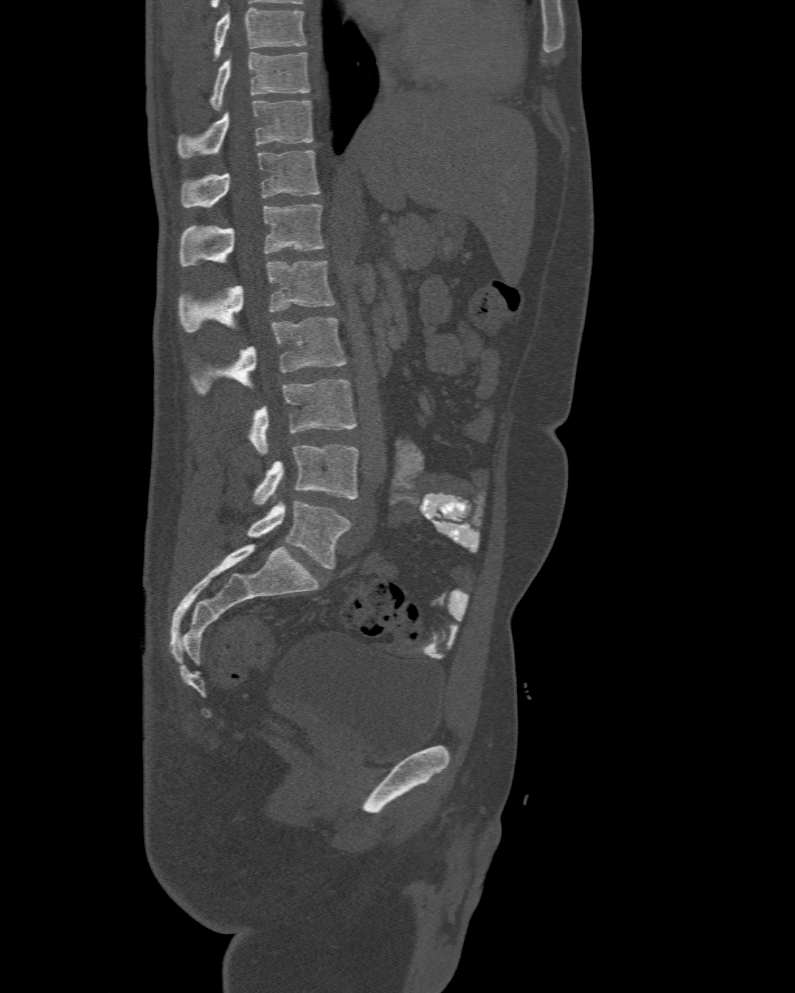 CT, spine; sagittal reformat
Boxes are (x1, y1, x2, y2) in pixels.
In this scan, the topmost labeled vertebra is T10 and the lowest is L6.
In these labels the spine has an L6, a sixth lumbar vertebra below L5.
T10: (210, 52, 310, 111)
T11: (177, 100, 313, 157)
T12: (180, 150, 320, 207)
L1: (179, 203, 324, 266)
L2: (179, 260, 336, 332)
L3: (188, 317, 345, 396)
L4: (247, 378, 356, 452)
L5: (253, 445, 359, 505)
L6: (247, 500, 350, 569)